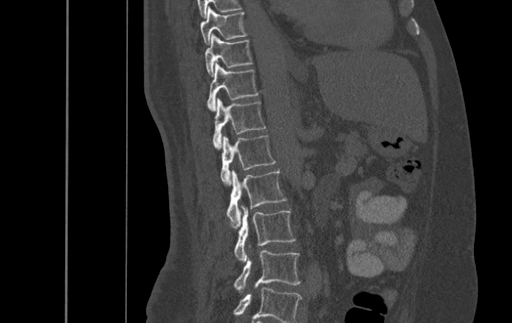 Spine CT. sagittal view. bone window. 512x323 px
Boxes: x1:y1:x2:y2 in pixels.
Labels in this scan begin with T9 at the top and end with L4 at the bottom.
T9: 200:6:247:44
T10: 205:34:252:76
T11: 207:62:258:111
T12: 213:97:265:149
L1: 220:135:275:184
L2: 226:169:286:227
L3: 235:207:295:261
L4: 234:246:300:290